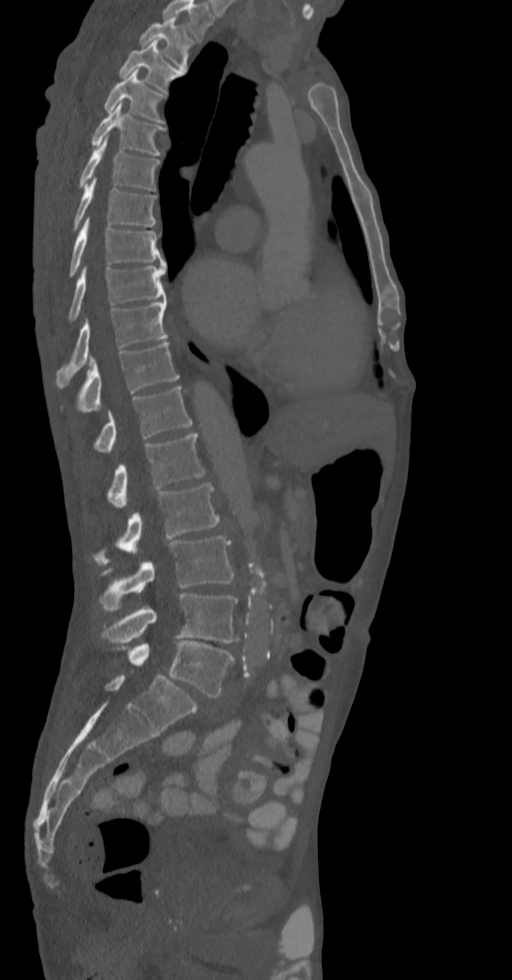

CT; sagittal view; 512x980 px; image width 336 mm
Boxes: x1:y1:x2:y2 in pixels. The highest labeled vertebra in this scan is T2; the lowest is L5. The labeled vertebrae in this slice are: L5 at 114:640:233:697, L4 at 100:593:239:642, L3 at 97:536:233:610, L2 at 91:483:220:564, L1 at 106:433:206:506, T12 at 93:386:192:452, T11 at 61:341:179:413, T10 at 56:299:168:383, T9 at 68:265:166:322, T8 at 70:216:166:275, T7 at 73:178:156:229, T6 at 79:137:160:189, T5 at 91:102:163:154, T4 at 103:70:165:122, T3 at 119:40:183:92, T2 at 140:17:192:69.